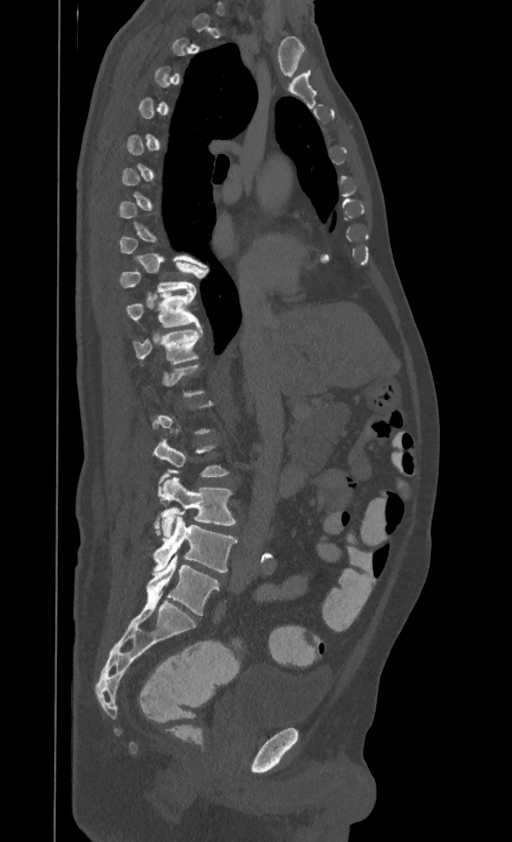
CT; image width 395 mm; sagittal view; 512x842 px
A vertebra gets a box only on the slices from the first to the last where its cross-section is at least a third of its largest; on a slice outside that range it gets none.
The highest labeled vertebra in this scan is T1; the lowest is L4.
<vertebrae><v name="T9" x1="120" y1="261" x2="201" y2="294"/><v name="T10" x1="127" y1="289" x2="200" y2="327"/><v name="T11" x1="133" y1="327" x2="202" y2="363"/><v name="L3" x1="154" y1="475" x2="235" y2="537"/><v name="L4" x1="153" y1="516" x2="237" y2="572"/></vertebrae>